CT · sagittal plane, index 51 · W/L 1800/400 HU · 512x512 px · 16 vertebrae labeled in this scan
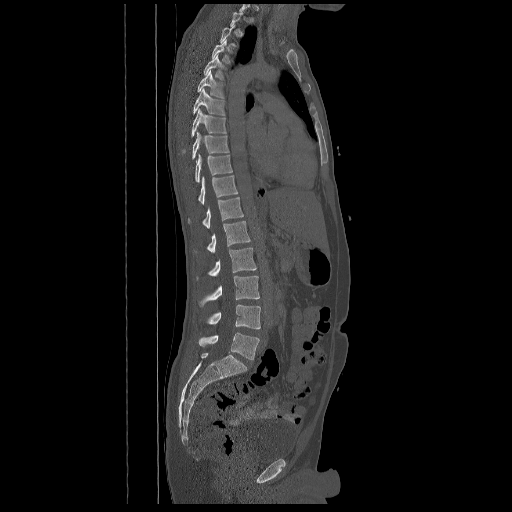
Bounding boxes as [x1, y1, x2, y2] in pixel coordinates.
Each vertebra is boxed only on the slices from the first to the last where its cross-section reaches a third of its largest, so a slice outside that range leaves it unboxed.
Vertebra bounding boxes:
- T5: [203, 55, 223, 78]
- T6: [197, 70, 224, 98]
- T7: [192, 88, 225, 115]
- T8: [191, 109, 226, 137]
- T9: [192, 132, 228, 159]
- T10: [195, 154, 232, 183]
- T11: [198, 175, 237, 204]
- T12: [188, 197, 243, 228]
- L1: [194, 221, 250, 253]
- L2: [196, 248, 256, 279]
- L3: [199, 276, 259, 306]
- L4: [207, 305, 260, 329]
- L5: [199, 332, 259, 359]